Spine computed tomography — sagittal view — W/L 1800/400 HU — 512x589 px — 10 vertebrae labeled in this scan
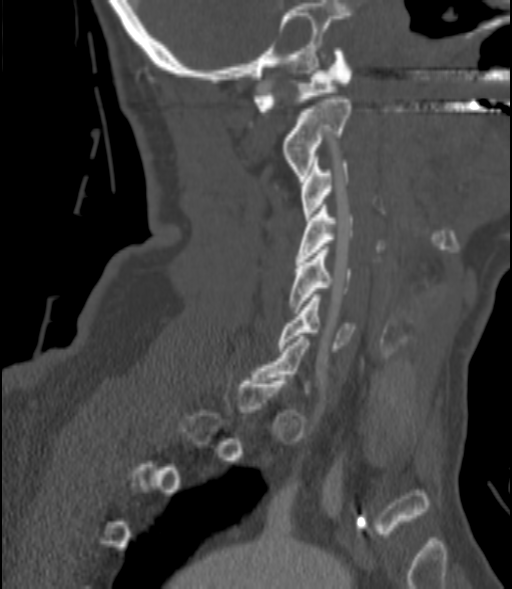 Coordinates as <box>x1,y1,x2,y2</box>.
Each vertebra is boxed only on the slices from the first to the last where its cross-section reaches a third of its largest, so a slice outside that range leaves it unboxed.
Vertebra bounding boxes:
- C6: <box>277,294,354,351</box>
- C5: <box>290,246,351,313</box>
- C4: <box>295,205,353,261</box>
- C3: <box>300,160,348,220</box>
- C2: <box>282,96,351,178</box>
- C1: <box>253,48,352,111</box>